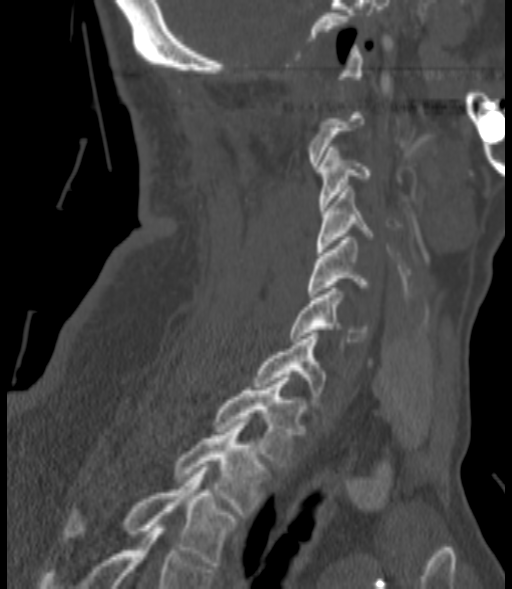

CT, spine. sagittal view. 512x589 px

Coordinates as <box>x1,y1,x2,y2</box>. Each vertebra is boxed only on the slices from the first to the last where its cross-section reaches a third of its largest, so a slice outside that range leaves it unboxed. The labeled vertebrae in this slice are: C3 at <box>318,147,371,210</box>, C4 at <box>316,186,374,252</box>, C5 at <box>308,237,368,297</box>, C6 at <box>290,288,367,341</box>, C7 at <box>254,330,325,396</box>, T1 at <box>213,378,302,466</box>, T2 at <box>175,422,263,517</box>, T3 at <box>67,467,235,565</box>.